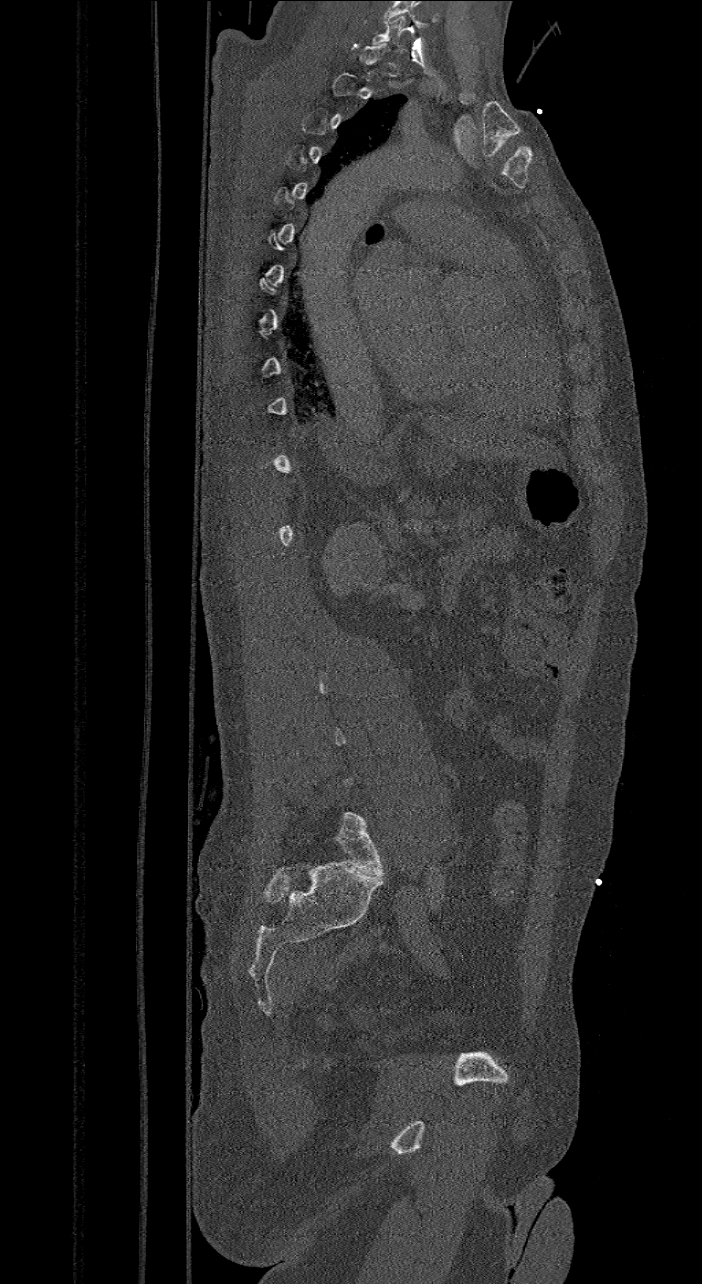 CT spine — sagittal view — bone-window reconstruction — image 421 mm wide
Each vertebra maps to its box as [x1, y1, x2, y2], the pixel coordinates of its top-left and bottom-right corners.
A vertebra gets a box only on the slices from the first to the last where its cross-section is at least a third of its largest; on a slice outside that range it gets none.
The labels name a sixth lumbar vertebra for this spine: L6, after L5.
{"vertebrae":{"C7":[370,16,406,53],"L6":[334,811,385,876]}}